CT spine · sagittal plane, index 61 · 154x295 px · scan covers 5 annotated vertebrae
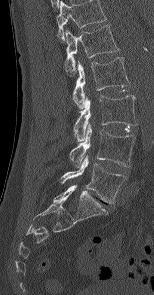

Each box given as x1,y1,x2,y2.
Labels in this scan begin with L1 at the top and end with L5 at the bottom.
| vertebra | x1 | y1 | x2 | y2 |
|---|---|---|---|---|
| L1 | 64 | 24 | 119 | 73 |
| L2 | 72 | 57 | 130 | 109 |
| L3 | 73 | 95 | 137 | 141 |
| L4 | 69 | 124 | 134 | 167 |
| L5 | 60 | 156 | 126 | 203 |